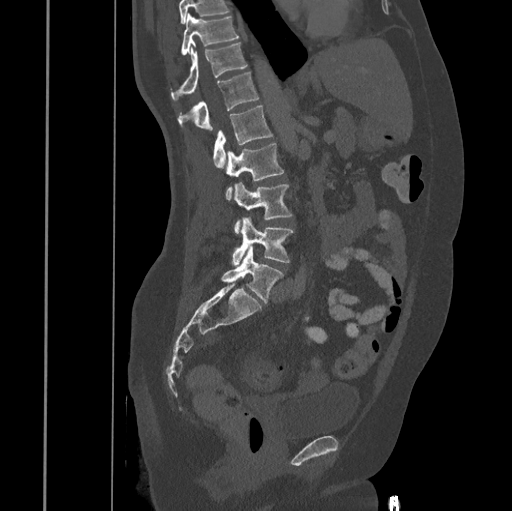

CT spine · sagittal view · 445 mm image width

Where the top of the scan cuts through a vertebra, that vertebra gets no label or box.
<vertebrae><v name="T10" x1="181" y1="13" x2="238" y2="55"/><v name="T11" x1="170" y1="42" x2="247" y2="100"/><v name="T12" x1="178" y1="72" x2="259" y2="132"/><v name="L1" x1="213" y1="106" x2="273" y2="168"/><v name="L2" x1="225" y1="143" x2="283" y2="200"/><v name="L3" x1="233" y1="182" x2="292" y2="232"/><v name="L4" x1="231" y1="217" x2="292" y2="266"/><v name="L5" x1="221" y1="246" x2="283" y2="302"/></vertebrae>